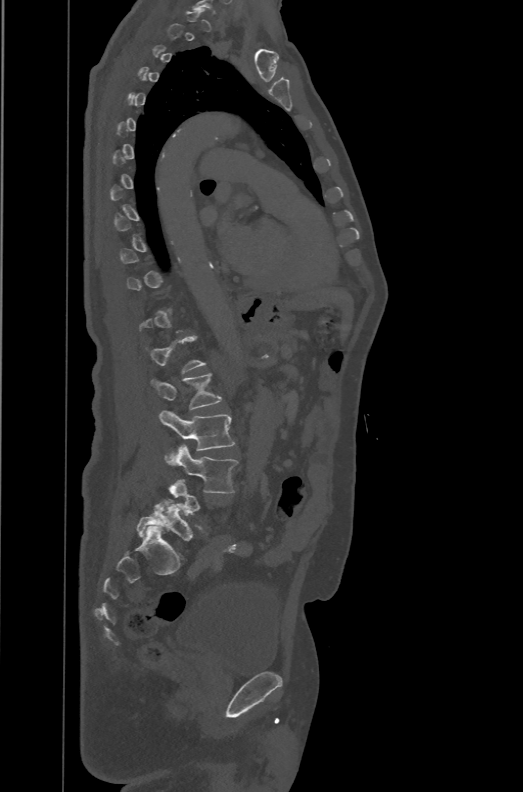

Spine CT — sagittal view — bone window — 523x792 px — the image spans 471 mm across

Boxes: x1 y1 x2 y2 (pixel coords, space-separated).
A vertebra gets a box only on the slices from the first to the last where its cross-section is at least a third of its largest; on a slice outside that range it gets none.
In these labels the spine has an L6, a sixth lumbar vertebra below L5.
Vertebra bounding boxes:
- L1: 144 335 206 372
- L2: 150 373 222 409
- L3: 159 410 234 460
- L4: 165 444 238 492
- L6: 137 499 200 541